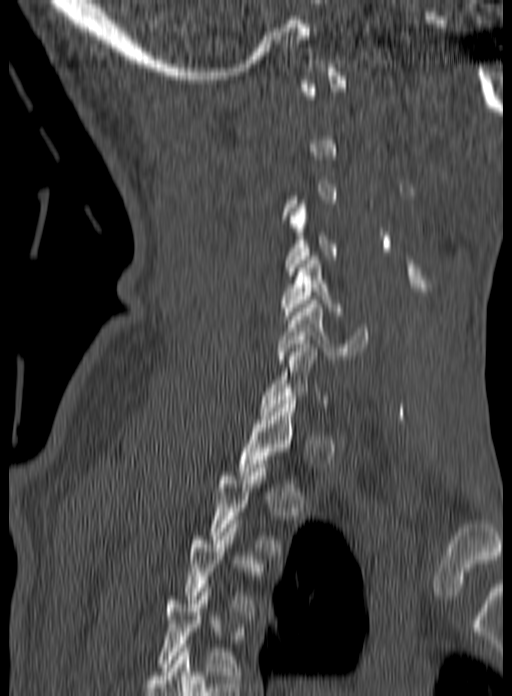
CT · sagittal view · Bone window (WL 400, WW 1800)

Each row gives a vertebra's box as x1, y1, x2, y2 in pixels: top-left corner, then bottom-right corner.
A vertebra gets a box only on the slices from the first to the last where its cross-section is at least a third of its largest; on a slice outside that range it gets none.
| vertebra | x1 | y1 | x2 | y2 |
|---|---|---|---|---|
| C4 | 286 | 204 | 336 | 279 |
| C5 | 281 | 256 | 340 | 315 |
| C6 | 276 | 300 | 368 | 363 |